Computed tomography of the spine · 486 mm wide · sagittal view
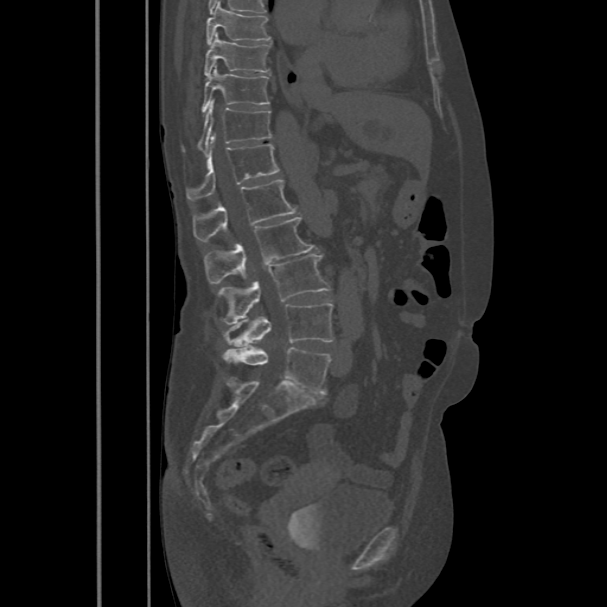 Each box is [x1, y1, x2, y2] in pixels: top-left corner, then bottom-right corner.
{"vertebrae":{"T8":[206,1,271,44],"T9":[204,32,271,77],"T10":[202,66,269,114],"T11":[183,101,272,154],"T12":[186,134,279,200],"L1":[192,180,298,241],"L2":[204,217,315,284],"L3":[218,255,330,324],"L4":[224,302,334,346],"L5":[223,346,330,394]}}